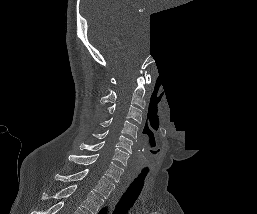 CT spine; sagittal view; the image spans 257 mm across; W/L 1800/400 HU; part of the image has been replaced by a constant value
Bounding boxes as [x1, y1, x2, y2] in pixel coordinates.
This scan's labels start at C1 at the top and end at T1 at the bottom.
Vertebra bounding boxes:
- C1: [111, 70, 150, 84]
- C2: [100, 76, 145, 108]
- C3: [107, 103, 141, 123]
- C4: [99, 118, 137, 138]
- C5: [92, 130, 132, 153]
- C6: [79, 141, 129, 165]
- C7: [68, 154, 123, 182]
- T1: [55, 169, 114, 198]